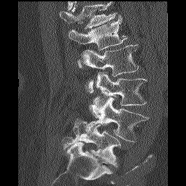
Spine computed tomography — sagittal reformat — bone window — 186x186 px — 186 mm across the image
Boxes are given in columns x1, y1, x2, y2, the pixel coordinates of their top-left and bottom-right corners.
A vertebra cut off by the top edge of the scan is not labeled and has no box.
| vertebra | x1 | y1 | x2 | y2 |
|---|---|---|---|---|
| L1 | 68 | 16 | 127 | 67 |
| L2 | 82 | 44 | 139 | 93 |
| L3 | 87 | 71 | 146 | 105 |
| L4 | 85 | 97 | 148 | 141 |
| L5 | 62 | 118 | 121 | 166 |